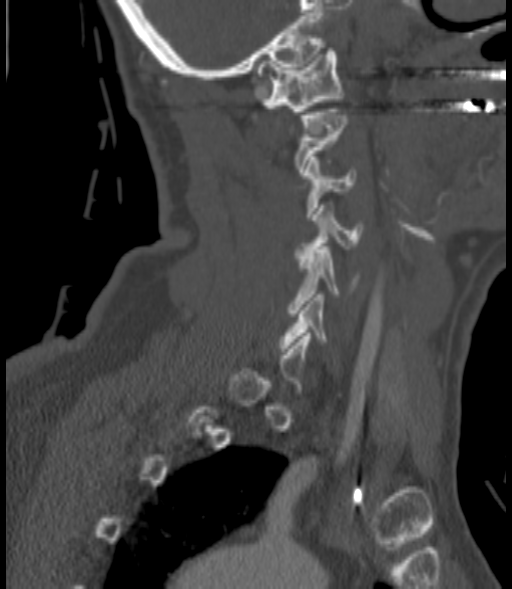
CT spine — sagittal view — Bone window (WL 400, WW 1800) — 512x589 px

Boxes are (x1, y1, x2, y2) in pixels. A vertebra is boxed only from the first to the last slice where its cross-section is at least a third of its largest; slices outside that range leave it without a box. 6 vertebrae labeled — C6 at (280, 294, 327, 351); C5 at (288, 246, 358, 316); C4 at (295, 205, 361, 258); C3 at (304, 157, 355, 217); C2 at (295, 109, 348, 175); C1 at (258, 48, 343, 114).